Computed tomography of the spine — sagittal plane, index 265 — 394 mm image width
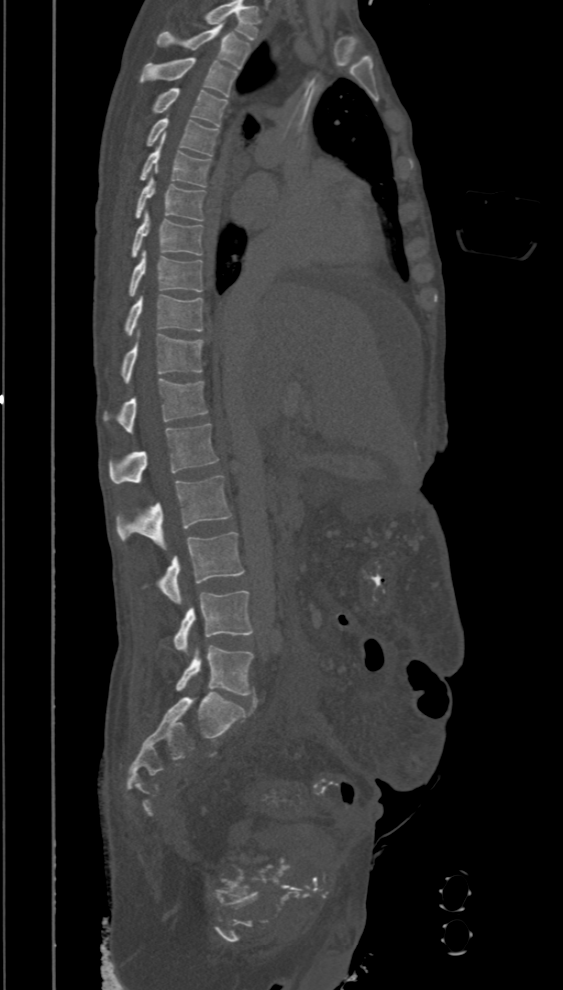
Each row gives a vertebra's box as x1, y1, x2, y2 in pixels: top-left corner, then bottom-right corner.
The highest labeled vertebra in this scan is T2; the lowest is L5.
| vertebra | x1 | y1 | x2 | y2 |
|---|---|---|---|---|
| T2 | 157 | 23 | 251 | 69 |
| T3 | 140 | 57 | 238 | 96 |
| T4 | 152 | 87 | 228 | 126 |
| T5 | 145 | 115 | 218 | 155 |
| T6 | 139 | 137 | 210 | 186 |
| T7 | 134 | 177 | 205 | 221 |
| T8 | 131 | 213 | 203 | 258 |
| T9 | 129 | 252 | 203 | 296 |
| T10 | 124 | 295 | 203 | 336 |
| T11 | 120 | 334 | 203 | 382 |
| T12 | 102 | 379 | 208 | 432 |
| L1 | 109 | 423 | 219 | 484 |
| L2 | 117 | 476 | 232 | 549 |
| L3 | 155 | 532 | 243 | 604 |
| L4 | 174 | 590 | 253 | 653 |
| L5 | 175 | 645 | 254 | 695 |